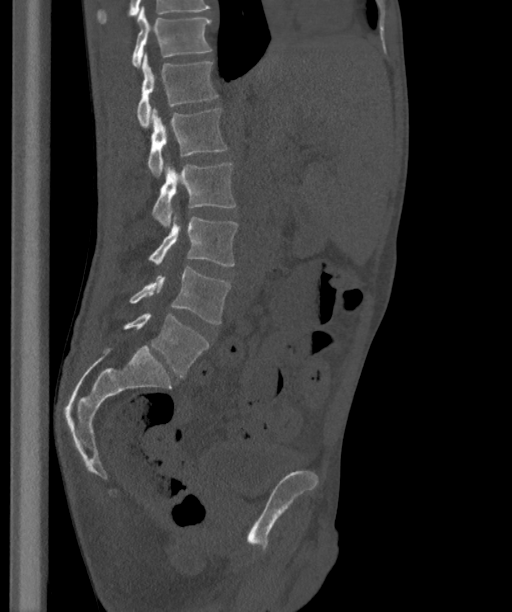

CT — sagittal view — W/L 1800/400 HU. Boxes: x1 y1 x2 y2 (pixel coords, space-separated).
These labels give the spine a sixth lumbar vertebra, L6, below L5.
T12: 132 6 210 68
L1: 137 53 217 127
L2: 148 108 227 177
L3: 152 162 236 226
L4: 149 215 237 266
L5: 130 267 230 323
L6: 124 312 209 377